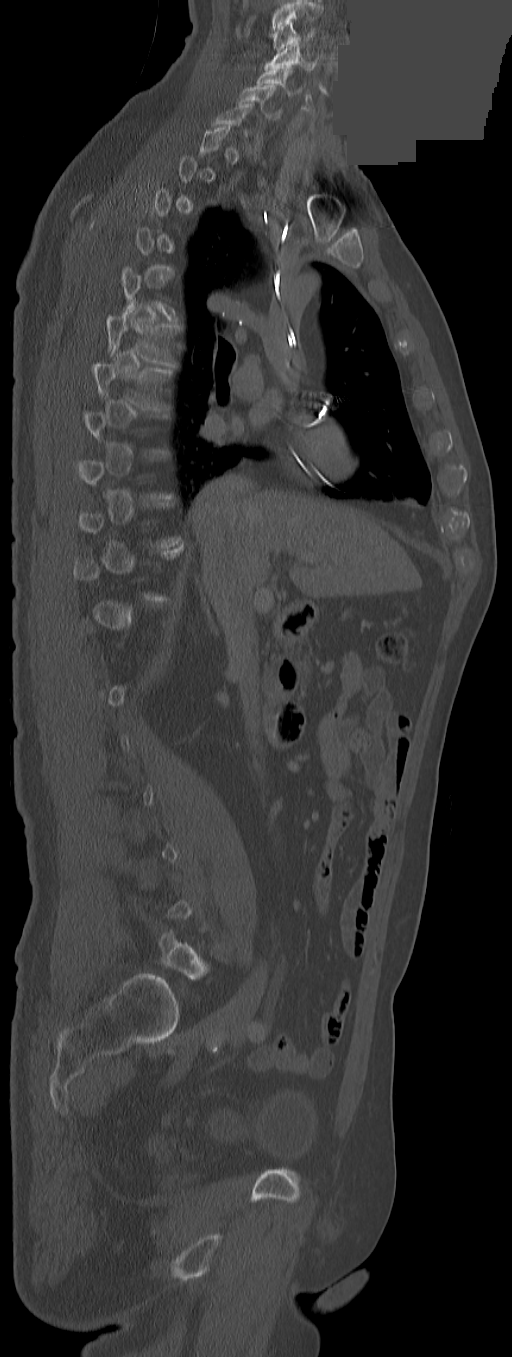
CT, spine — sagittal reformat — 512x1357 px — a uniform gray block covers part of the image
In the table, x1 and y1 are a box's top-left corner and x2 and y2 its bottom-right corner, in pixels.
A vertebra is boxed only from the first to the last slice where its cross-section is at least a third of its largest; slices outside that range leave it without a box.
This scan's labels start at C3 at the top and end at L5 at the bottom.
| vertebra | x1 | y1 | x2 | y2 |
|---|---|---|---|---|
| C3 | 273 | 21 | 314 | 51 |
| C4 | 264 | 42 | 316 | 70 |
| C5 | 256 | 67 | 291 | 94 |
| C6 | 237 | 85 | 282 | 119 |
| T6 | 106 | 300 | 177 | 365 |
| T7 | 92 | 363 | 172 | 409 |
| L5 | 159 | 931 | 207 | 978 |